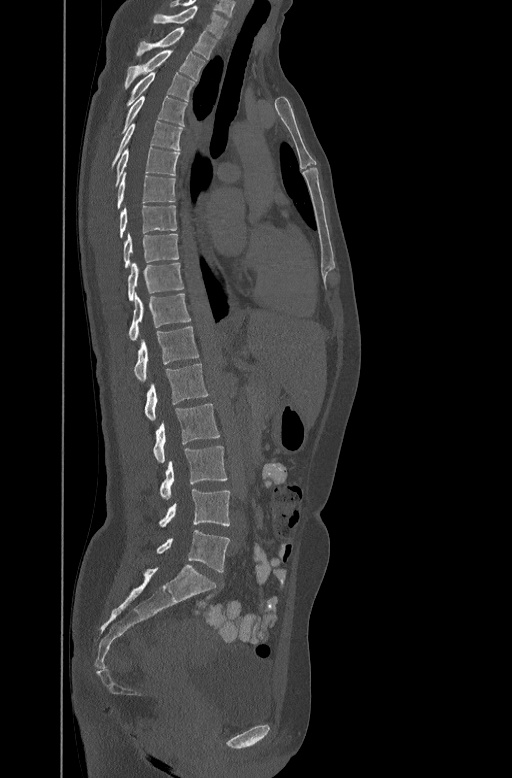
CT spine — sagittal view — 512x778 px

Each box is [x1, y1, x2, y2] in pixels: top-left corner, then bottom-right corner.
{"vertebrae":{"C7":[153,5,228,37],"T1":[137,27,217,58],"T2":[125,47,205,88],"T3":[126,70,195,105],"T4":[122,95,187,131],"T5":[111,120,182,166],"T6":[114,146,179,186],"T7":[116,172,175,209],"T8":[119,204,176,237],"T9":[122,232,179,267],"T10":[127,262,183,299],"T11":[128,293,191,339],"T12":[134,325,198,380],"L1":[144,363,209,420],"L2":[153,404,220,462],"L3":[159,446,227,498],"L4":[158,489,230,527],"L5":[156,530,229,572]}}